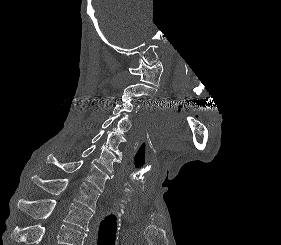
Spine computed tomography — sagittal view — 281x245 px — a portion of the image is blanked out (constant pixel value)
Vertebrae that run past the bottom of the scan are left unlabeled.
<vertebrae><v name="T2" x1="17" y1="197" x2="93" y2="231"/><v name="T1" x1="31" y1="175" x2="100" y2="214"/><v name="C7" x1="46" y1="154" x2="113" y2="192"/><v name="C6" x1="81" y1="145" x2="120" y2="173"/><v name="C5" x1="91" y1="128" x2="126" y2="159"/><v name="C4" x1="102" y1="113" x2="131" y2="133"/><v name="C3" x1="112" y1="99" x2="139" y2="114"/><v name="C2" x1="122" y1="83" x2="157" y2="101"/><v name="C1" x1="128" y1="57" x2="163" y2="87"/></vertebrae>